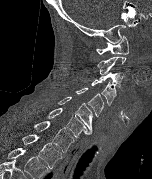

CT — sagittal reformat — W/L 1800/400 HU

Box edges are left/top/right/bottom in pixels.
Labels in this scan begin with C1 at the top and end with T2 at the bottom.
| vertebra | x1 | y1 | x2 | y2 |
|---|---|---|---|---|
| C1 | 96 | 34 | 128 | 55 |
| C2 | 97 | 56 | 126 | 75 |
| C3 | 99 | 71 | 124 | 93 |
| C4 | 90 | 79 | 118 | 105 |
| C5 | 75 | 87 | 103 | 117 |
| C6 | 58 | 96 | 92 | 133 |
| C7 | 48 | 108 | 90 | 137 |
| T1 | 34 | 121 | 74 | 152 |
| T2 | 22 | 134 | 64 | 168 |